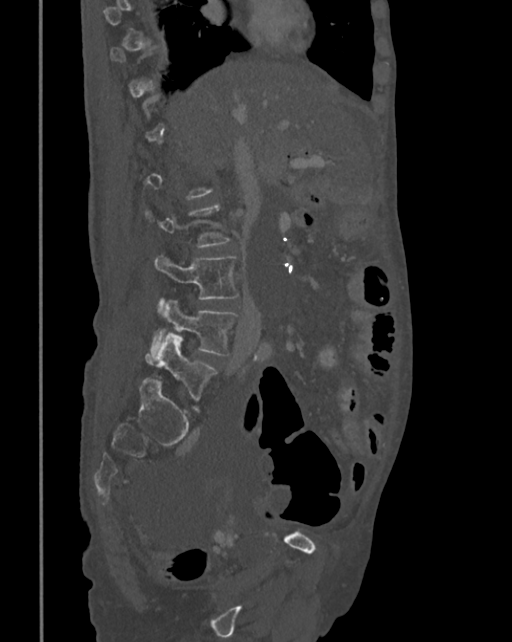 CT · sagittal view · 342 mm image width
Coordinates as <box>x1,y1,x2,y2</box>.
A vertebra is boxed only from the first to the last slice where its cross-section is at least a third of its largest; slices outside that range leave it without a box.
L3: <box>154,254,239,306</box>
L4: <box>144,300,238,364</box>
L5: <box>156,333,217,402</box>